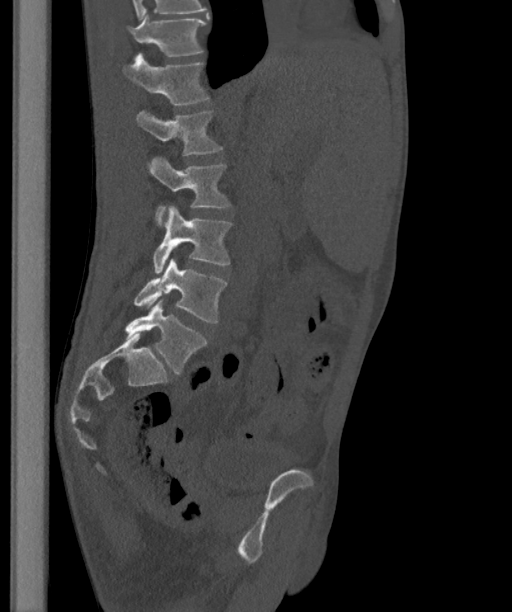
CT spine. sagittal view. 512x612 px. image 363 mm wide
Each row gives a vertebra's box as x1, y1, x2, y2 in pixels: top-left corner, then bottom-right corner.
In this scan, the topmost labeled vertebra is T12 and the lowest is L6.
The labels name a sixth lumbar vertebra for this spine: L6, after L5.
| vertebra | x1 | y1 | x2 | y2 |
|---|---|---|---|---|
| T12 | 127 | 15 | 206 | 56 |
| L1 | 122 | 52 | 209 | 104 |
| L2 | 135 | 110 | 222 | 155 |
| L3 | 148 | 156 | 230 | 225 |
| L4 | 153 | 206 | 232 | 273 |
| L5 | 134 | 258 | 226 | 323 |
| L6 | 125 | 300 | 206 | 373 |